CT, spine. sagittal plane, index 280. 512x789 px
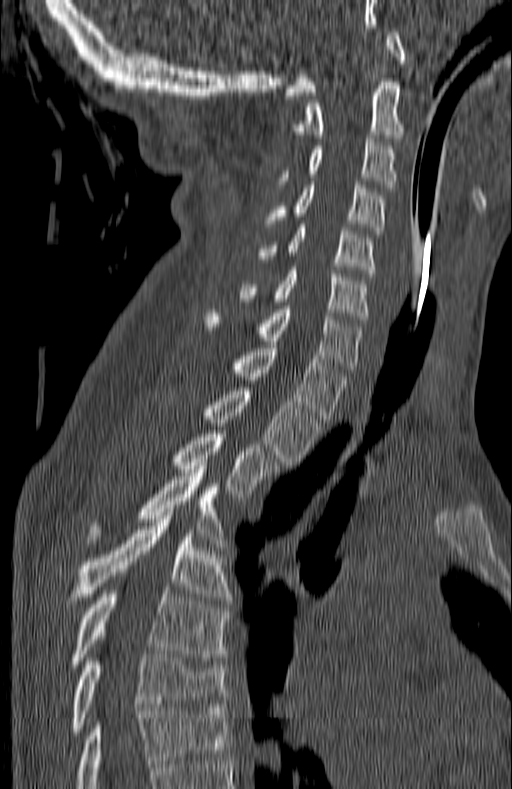
Boxes are given in columns x1, y1, x2, y2, the pixel coordinates of their top-left and bottom-right corners.
The highest labeled vertebra in this scan is C1; the lowest is T7.
| vertebra | x1 | y1 | x2 | y2 |
|---|---|---|---|---|
| C1 | 285 | 32 | 404 | 95 |
| C2 | 297 | 82 | 404 | 138 |
| C3 | 281 | 139 | 395 | 187 |
| C4 | 268 | 185 | 384 | 234 |
| C5 | 258 | 224 | 375 | 273 |
| C6 | 240 | 270 | 367 | 323 |
| C7 | 206 | 306 | 361 | 372 |
| T1 | 234 | 345 | 347 | 419 |
| T2 | 206 | 388 | 318 | 465 |
| T3 | 174 | 434 | 276 | 497 |
| T4 | 89 | 469 | 222 | 539 |
| T5 | 63 | 512 | 230 | 611 |
| T6 | 69 | 587 | 227 | 667 |
| T7 | 69 | 654 | 225 | 735 |